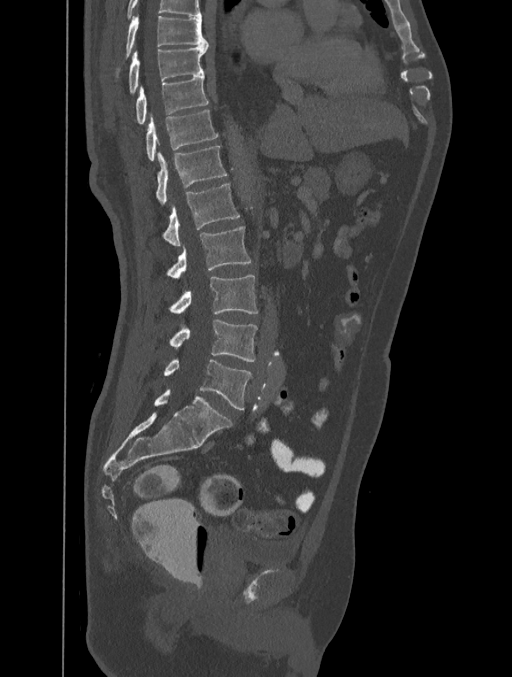 Computed tomography of the spine — sagittal reformat — bone-window reconstruction — 512x677 px — the image spans 401 mm across
Each box is [x1, y1, x2, y2] in pixels: top-left corner, then bottom-right corner.
This scan's labels start at T8 at the top and end at L5 at the bottom.
{"vertebrae":{"T8":[126,14,207,56],"T9":[129,43,208,92],"T10":[136,75,208,124],"T11":[145,110,217,160],"T12":[156,146,226,205],"L1":[163,183,239,246],"L2":[167,226,250,278],"L3":[170,275,258,313],"L4":[170,319,257,362],"L5":[163,359,252,409]}}